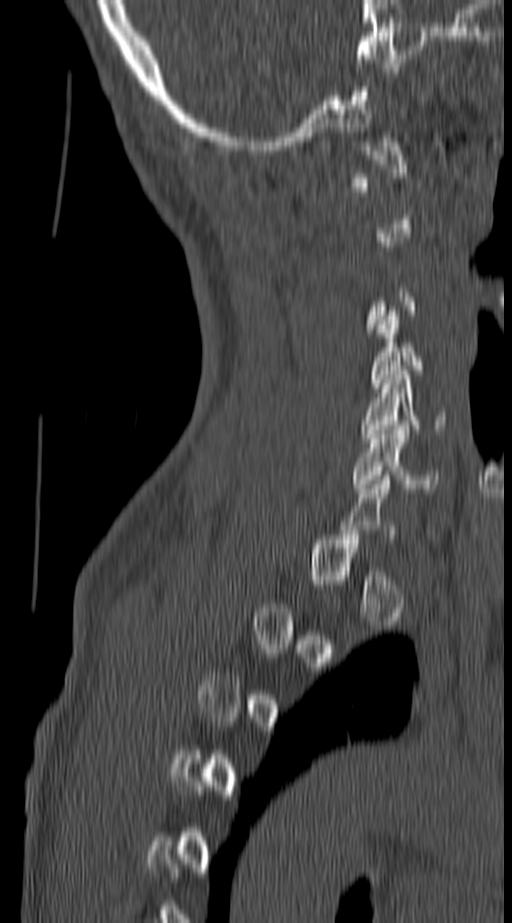

Spine CT · sagittal view · Bone window (WL 400, WW 1800) · the image is 140 mm wide

Each box is [x1, y1, x2, y2] in pixels: top-left corner, then bottom-right corner.
A vertebra gets a box only on the slices from the first to the last where its cross-section is at least a third of its largest; on a slice outside that range it gets none.
{"vertebrae":{"C5":[361,370,448,442],"C6":[352,425,439,493]}}